Spine CT — Sagittal slice 268/512 — scan covers 17 annotated vertebrae
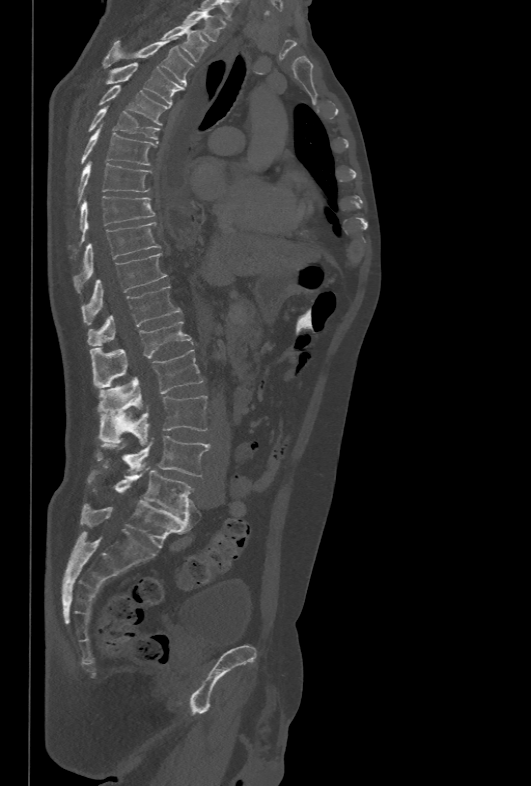

Coordinates as <box>x1,y1,x2,y2</box>.
Vertebra bounding boxes:
- T1: <box>183,10,223,42</box>
- T2: <box>161,24,208,62</box>
- T3: <box>103,36,193,86</box>
- T4: <box>106,63,185,105</box>
- T5: <box>99,85,168,124</box>
- T6: <box>88,106,159,139</box>
- T7: <box>81,125,156,165</box>
- T8: <box>78,162,151,202</box>
- T9: <box>80,196,155,241</box>
- T10: <box>74,222,160,291</box>
- T11: <box>81,253,167,324</box>
- T12: <box>88,286,182,346</box>
- L1: <box>90,320,192,387</box>
- L2: <box>99,349,203,415</box>
- L3: <box>98,395,208,445</box>
- L4: <box>98,436,210,476</box>
- L5: <box>88,467,194,515</box>